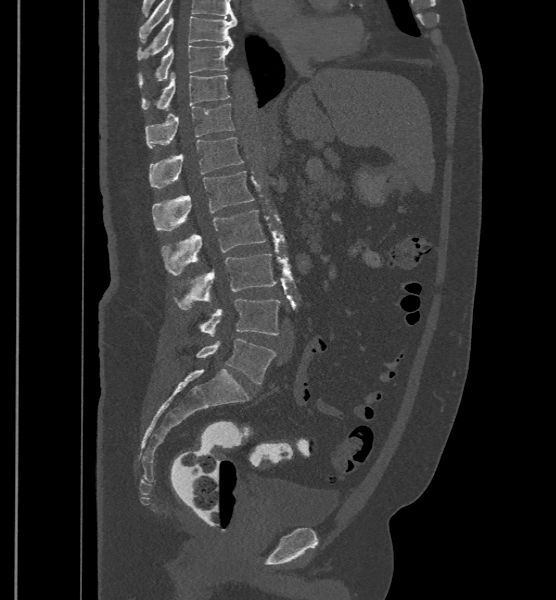 Spine computed tomography. sagittal view. Bone window (WL 400, WW 1800)

Each vertebra maps to its box as [x1, y1, x2, y2], the pixel coordinates of its top-left and bottom-right corners.
Labels in this scan begin with T9 at the top and end with L6 at the bottom.
In these labels the spine has an L6, a sixth lumbar vertebra below L5.
{"vertebrae":{"L6":[196,339,276,383],"L5":[197,299,280,336],"L4":[174,253,277,309],"L3":[161,210,266,275],"L2":[152,171,253,230],"L1":[149,137,243,188],"T12":[145,103,234,148],"T11":[141,72,229,110],"T10":[139,43,233,87],"T9":[138,16,237,59]}}